Computed tomography of the spine · sagittal view · bone-window reconstruction · 350x440 px
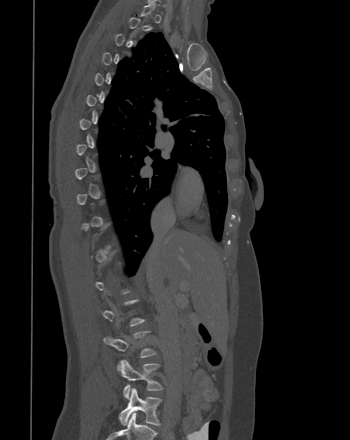 Bounding boxes as [x1, y1, x2, y2] in pixel coordinates.
A vertebra is boxed only from the first to the last slice where its cross-section is at least a third of its largest; slices outside that range leave it without a box.
Vertebra bounding boxes:
- L4: [118, 360, 163, 398]
- L5: [119, 388, 161, 425]